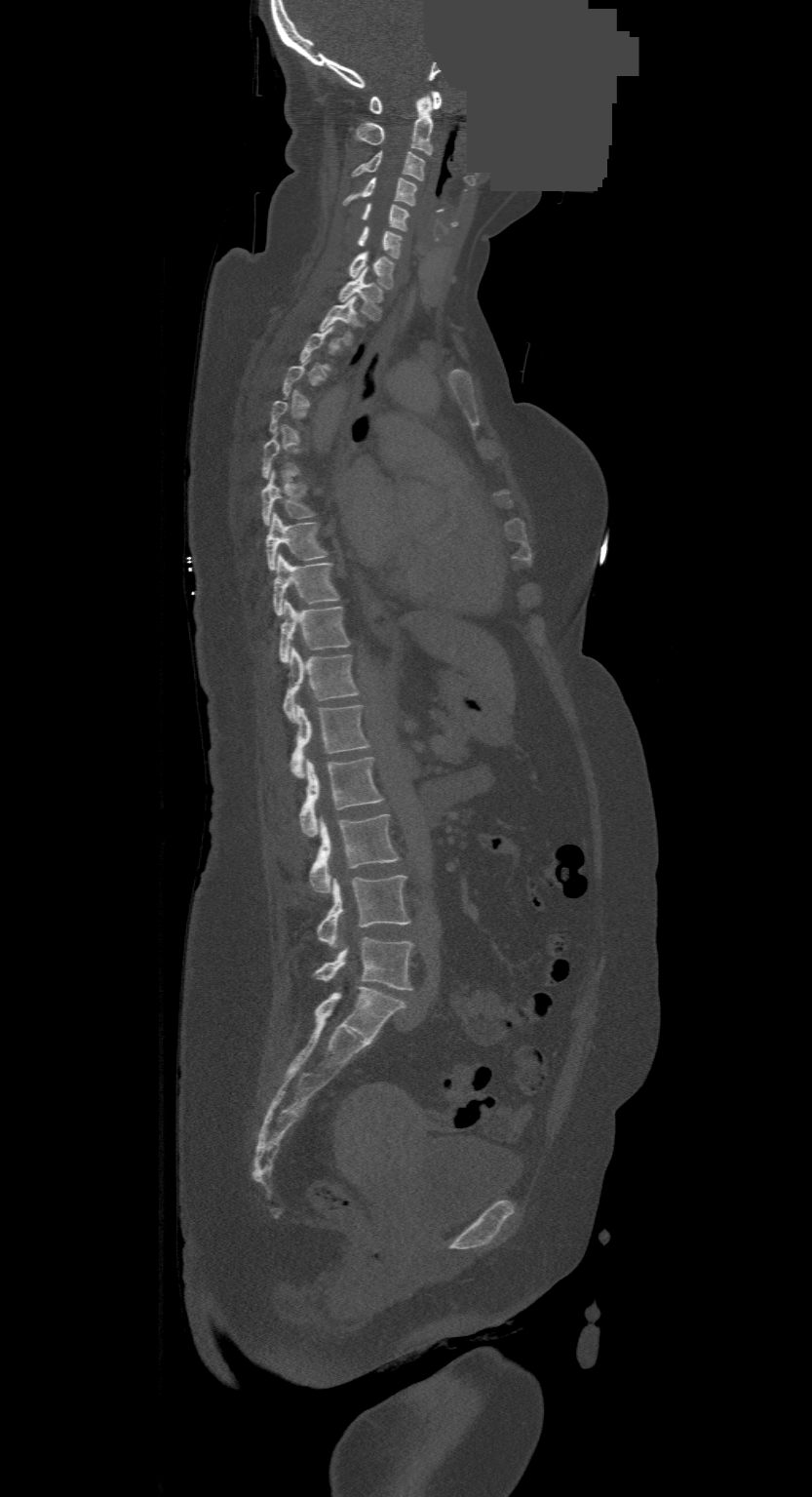
Spine computed tomography. the image is 500 mm wide. sagittal view. a uniform gray block covers part of the image. Boxes are given in columns x1, y1, x2, y2, the pixel coordinates of their top-left and bottom-right corners.
Each vertebra is boxed only on the slices from the first to the last where its cross-section reaches a third of its largest, so a slice outside that range leaves it unboxed.
The highest labeled vertebra in this scan is C1; the lowest is L4.
| vertebra | x1 | y1 | x2 | y2 |
|---|---|---|---|---|
| C1 | 368 | 92 | 442 | 113 |
| C2 | 354 | 95 | 432 | 154 |
| C3 | 352 | 151 | 424 | 179 |
| C4 | 344 | 177 | 416 | 206 |
| C5 | 362 | 204 | 408 | 230 |
| C6 | 357 | 226 | 402 | 257 |
| C7 | 349 | 253 | 394 | 289 |
| T1 | 338 | 270 | 383 | 320 |
| T2 | 319 | 296 | 359 | 344 |
| T7 | 262 | 472 | 315 | 525 |
| T8 | 265 | 512 | 328 | 570 |
| T9 | 273 | 555 | 338 | 615 |
| T10 | 279 | 600 | 350 | 662 |
| T11 | 283 | 648 | 358 | 721 |
| T12 | 289 | 704 | 367 | 778 |
| L1 | 298 | 758 | 383 | 837 |
| L2 | 309 | 814 | 399 | 891 |
| L3 | 318 | 875 | 410 | 947 |
| L4 | 314 | 938 | 413 | 989 |